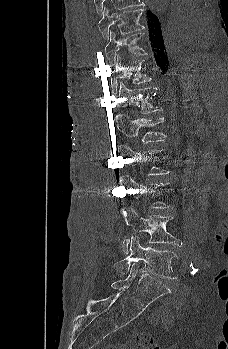
CT, spine · sagittal view · Bone window (WL 400, WW 1800)

Boxes are (x1, y1, x2, y2) in pixels.
Vertebra bounding boxes:
- T9: (98, 7, 145, 39)
- T10: (104, 31, 147, 65)
- T11: (110, 54, 151, 93)
- T12: (115, 82, 162, 127)
- L1: (114, 113, 166, 145)
- L2: (118, 144, 171, 175)
- L3: (119, 175, 169, 214)
- L4: (122, 207, 182, 254)
- L5: (112, 236, 178, 278)